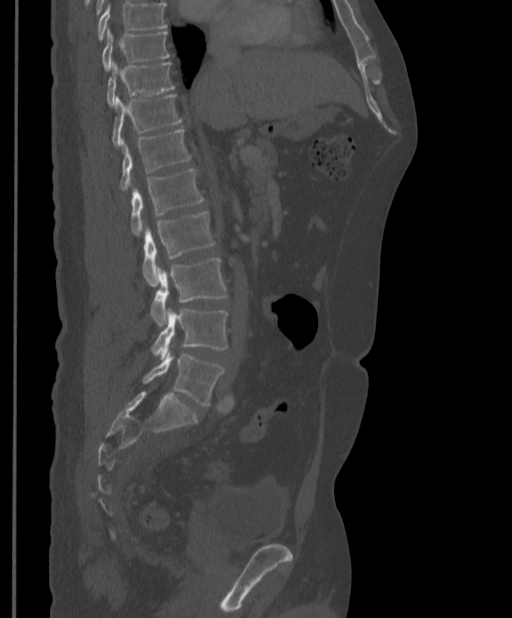 CT, spine. the image spans 397 mm across. sagittal view. W/L 1800/400 HU. Box edges are left/top/right/bottom in pixels.
A vertebra cut off by the top edge of the scan is not labeled and has no box.
| vertebra | x1 | y1 | x2 | y2 |
|---|---|---|---|---|
| T9 | 102 | 31 | 169 | 71 |
| T10 | 107 | 62 | 174 | 106 |
| T11 | 112 | 94 | 182 | 146 |
| T12 | 120 | 129 | 191 | 190 |
| L1 | 130 | 168 | 204 | 235 |
| L2 | 142 | 212 | 216 | 285 |
| L3 | 151 | 258 | 227 | 325 |
| L4 | 151 | 308 | 228 | 358 |
| L5 | 142 | 352 | 225 | 405 |